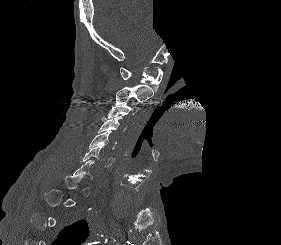 CT. sagittal view. W/L 1800/400 HU. 281x245 px. part of the scan has been removed (filled with constant black)

Columns x1, y1, x2, y2 give each box's top-left and bottom-right pixels.
Each vertebra is boxed only on the slices from the first to the last where its cross-section reaches a third of its largest, so a slice outside that range leaves it unboxed.
| vertebra | x1 | y1 | x2 | y2 |
|---|---|---|---|---|
| C1 | 119 | 67 | 163 | 91 |
| C2 | 116 | 84 | 153 | 104 |
| C3 | 107 | 101 | 140 | 118 |
| C4 | 98 | 116 | 126 | 133 |
| C5 | 89 | 131 | 117 | 148 |
| C6 | 80 | 145 | 115 | 166 |